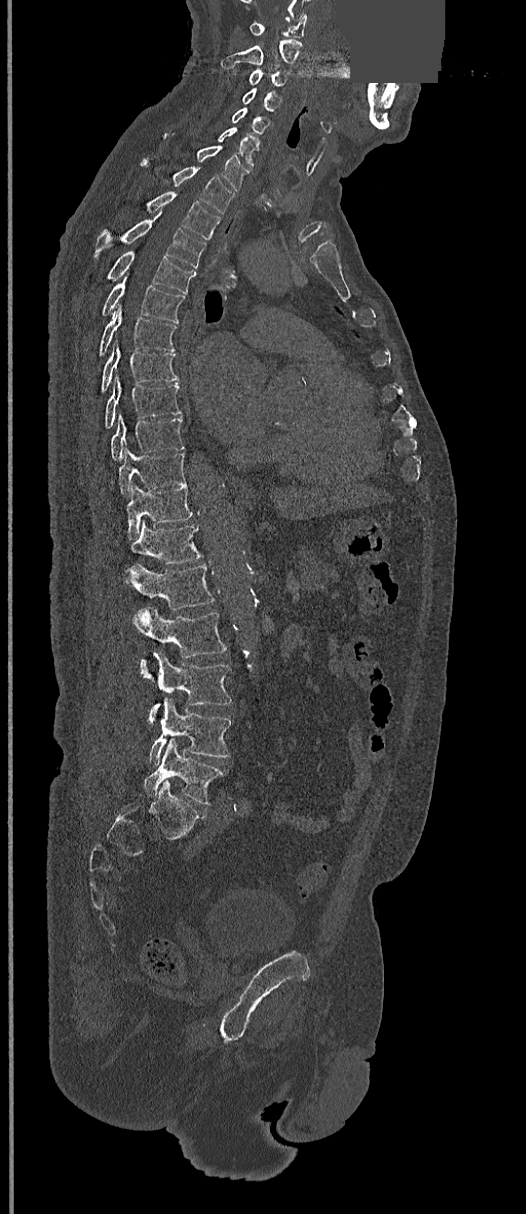
Spine computed tomography; sagittal view; bone-window reconstruction; 526x1214 px; a region is masked with a constant gray value

Bounding boxes as [x1, y1, x2, y2] in pixel coordinates.
Vertebra bounding boxes:
- C1: [250, 13, 306, 38]
- C2: [221, 40, 302, 67]
- C3: [250, 69, 286, 88]
- C4: [242, 89, 281, 110]
- C5: [231, 107, 270, 133]
- C6: [219, 127, 259, 168]
- C7: [164, 133, 244, 190]
- T1: [171, 167, 233, 213]
- T2: [148, 191, 220, 239]
- T3: [94, 214, 206, 268]
- T4: [109, 250, 194, 293]
- T5: [103, 269, 185, 322]
- T6: [99, 306, 176, 355]
- T7: [102, 340, 178, 392]
- T8: [104, 373, 180, 428]
- T9: [111, 413, 183, 460]
- T10: [118, 447, 185, 496]
- T11: [125, 484, 192, 539]
- T12: [129, 521, 201, 565]
- L1: [125, 564, 213, 610]
- L2: [132, 607, 226, 676]
- L3: [148, 651, 232, 723]
- L4: [148, 697, 230, 765]
- L5: [144, 739, 225, 805]